Spine computed tomography — sagittal view — scan covers 20 annotated vertebrae
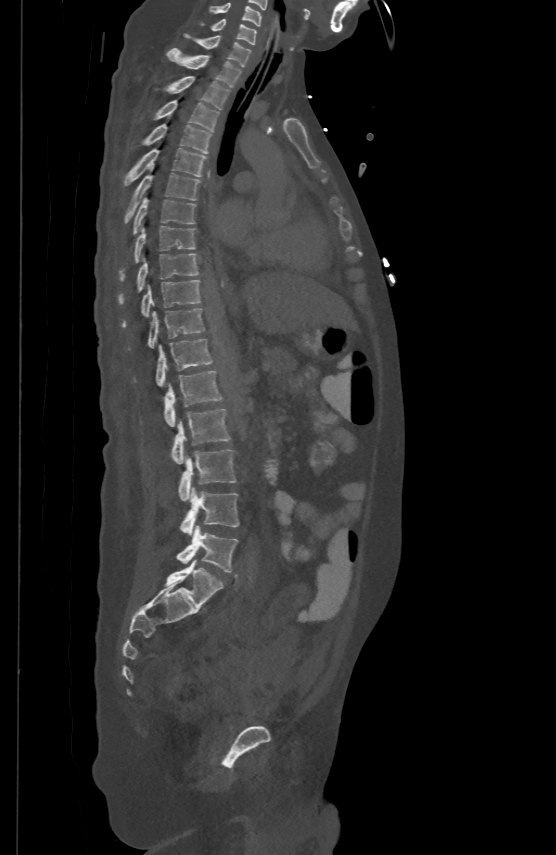 Boxes: x1 y1 x2 y2 (pixel coords, space-separated).
C5: 208 2 262 25
C6: 212 17 256 43
C7: 184 33 251 65
T1: 167 47 241 86
T2: 167 75 229 109
T3: 155 100 219 131
T4: 143 123 212 152
T5: 124 147 205 185
T6: 125 166 200 222
T7: 132 196 195 233
T8: 119 225 194 280
T9: 118 252 198 303
T10: 122 279 200 326
T11: 128 307 204 348
T12: 133 337 213 385
L1: 165 370 221 425
L2: 171 407 230 463
L3: 179 450 236 501
L4: 180 487 239 534
L5: 177 525 238 572